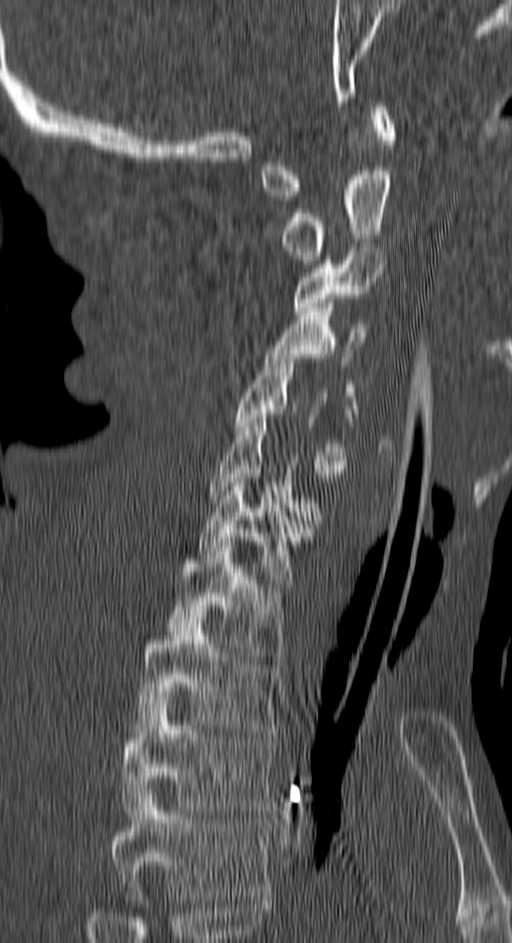 Computed tomography of the spine — sagittal view — 512x943 px
Boxes are (x1, y1, x2, y2) in pixels. Labels in this scan begin with C1 at the top and end with T4 at the bottom. Vertebrae labeled: T4 at (110, 789, 270, 899), T3 at (121, 691, 277, 818), T2 at (137, 614, 277, 733), T1 at (168, 542, 284, 660), C7 at (199, 474, 314, 588), C6 at (209, 418, 318, 520), C5 at (235, 354, 353, 473), C4 at (266, 303, 369, 413), C3 at (294, 247, 386, 315), C2 at (281, 166, 389, 264), C1 at (261, 102, 396, 200).